CT spine. the image spans 398 mm across. Sagittal slice 229/512. Bone window (WL 400, WW 1800). 512x513 px
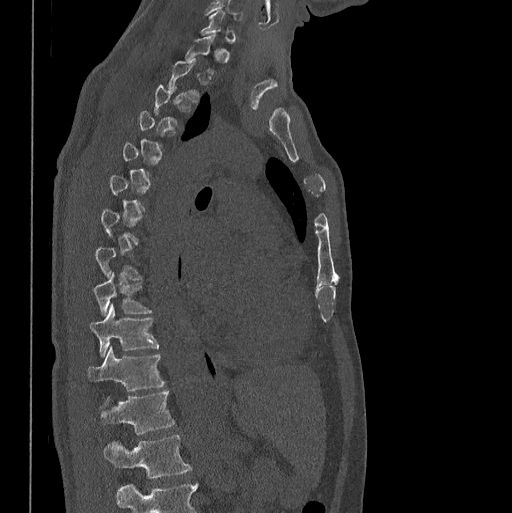

Each box given as x1,y1,x2,y2.
Not every vertebra on this slice has a box: a vertebra is boxed only from the first to the last slice where its cross-section is at least a third of its largest, and this slice is outside that range for at least one of them.
In this scan, the topmost labeled vertebra is C7 and the lowest is L1.
Vertebra bounding boxes:
- T9: x1=94, y1=272, x2=151, y2=315
- T10: x1=90, y1=303, x2=158, y2=357
- T11: x1=87, y1=346, x2=164, y2=391
- T12: x1=99, y1=390, x2=174, y2=434
- L1: x1=103, y1=434, x2=192, y2=477